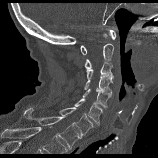

Computed tomography of the spine — sagittal view — W/L 1800/400 HU. Boxes: x1 y1 x2 y2 (pixel coords, space-separated).
C1: 80 30 115 54
C2: 85 44 113 68
C3: 86 62 113 81
C4: 84 76 112 92
C5: 82 89 111 108
C6: 74 99 102 125
C7: 59 107 92 137
T1: 23 108 81 149